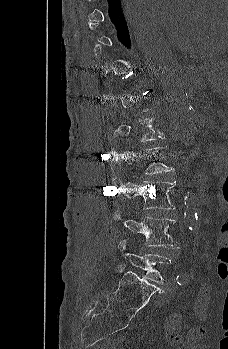 CT spine — sagittal view — 228x349 px. Boxes are (x1, y1, x2, y2) in pixels.
A vertebra is boxed only from the first to the last slice where its cross-section is at least a third of its largest; slices outside that range leave it without a box.
L2: (124, 146, 173, 174)
L3: (109, 179, 176, 209)
L4: (114, 211, 181, 248)
L5: (118, 240, 172, 283)